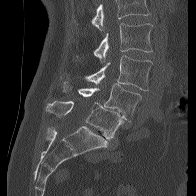
Spine computed tomography; sagittal view
Each box given as x1,y1,x2,y2.
Where the top of the scan cuts through a vertebra, that vertebra gets no label or box.
Vertebra bounding boxes:
- L2: x1=93, y1=23, x2=152, y2=62
- L3: x1=85, y1=55, x2=152, y2=91
- L4: x1=64, y1=82, x2=141, y2=121
- L5: x1=45, y1=101, x2=123, y2=139